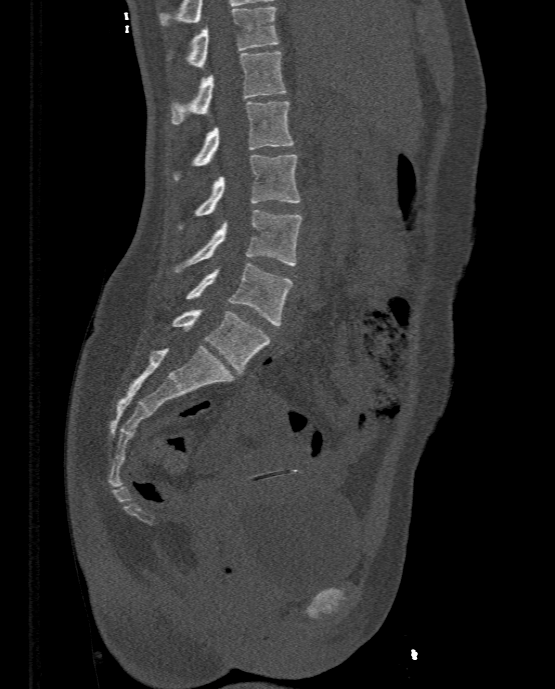

Spine computed tomography; sagittal view; bone-window reconstruction; 555x689 px
Columns x1, y1, x2, y2 give each box's top-left and bottom-right pixels.
| vertebra | x1 | y1 | x2 | y2 |
|---|---|---|---|---|
| L5 | 171 | 309 | 270 | 373 |
| L4 | 184 | 263 | 293 | 325 |
| L3 | 173 | 210 | 303 | 272 |
| L2 | 178 | 154 | 300 | 228 |
| L1 | 173 | 101 | 294 | 179 |
| T12 | 171 | 51 | 285 | 124 |
| T11 | 168 | 6 | 279 | 69 |